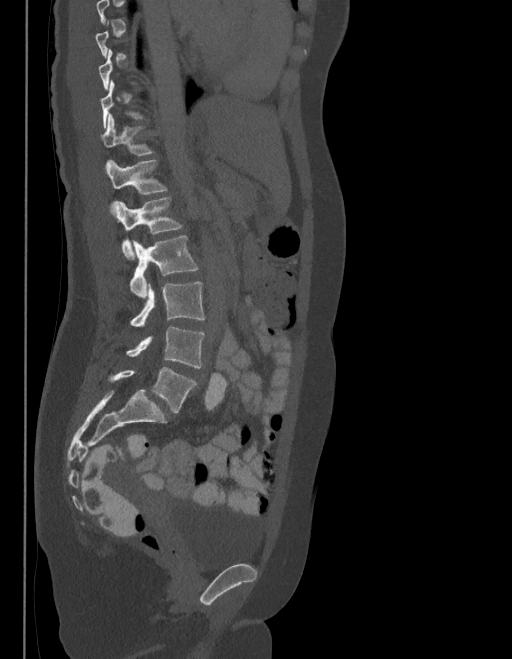

Computed tomography of the spine. sagittal view. bone window. the image is 403 mm wide
Boxes: x1:y1:x2:y2 in pixels.
Each vertebra is boxed only on the slices from the first to the last where its cross-section reaches a third of its largest, so a slice outside that range leaves it unboxed.
In these labels the spine has an L6, a sixth lumbar vertebra below L5.
Vertebra bounding boxes:
- T12: 102:115:153:156
- L1: 105:159:167:207
- L2: 115:198:182:259
- L3: 129:236:197:297
- L4: 129:281:205:326
- L5: 126:327:203:368
- L6: 108:368:196:413